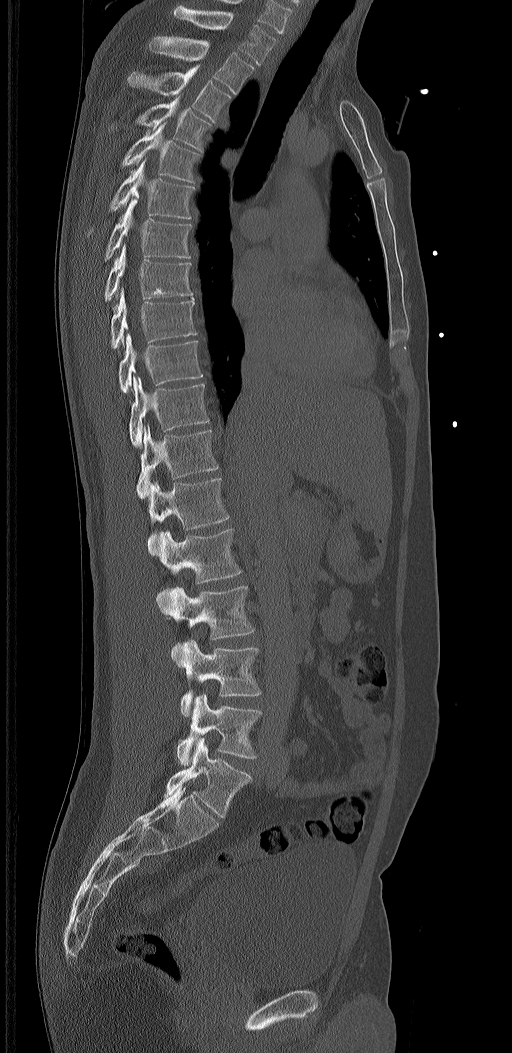

Spine computed tomography; sagittal view; Bone window (WL 400, WW 1800)
These labels give the spine a sixth lumbar vertebra, L6, below L5.
<vertebrae><v name="T1" x1="173" y1="5" x2="276" y2="66"/><v name="T2" x1="149" y1="36" x2="254" y2="94"/><v name="T3" x1="127" y1="64" x2="231" y2="121"/><v name="T4" x1="109" y1="95" x2="212" y2="152"/><v name="T5" x1="120" y1="122" x2="202" y2="183"/><v name="T6" x1="87" y1="159" x2="195" y2="236"/><v name="T7" x1="103" y1="199" x2="191" y2="260"/><v name="T8" x1="104" y1="245" x2="193" y2="302"/><v name="T9" x1="109" y1="288" x2="196" y2="348"/><v name="T10" x1="118" y1="333" x2="203" y2="393"/><v name="T11" x1="128" y1="374" x2="209" y2="448"/><v name="T12" x1="136" y1="425" x2="219" y2="499"/><v name="L1" x1="148" y1="477" x2="230" y2="555"/><v name="L2" x1="157" y1="528" x2="241" y2="614"/><v name="L3" x1="168" y1="586" x2="255" y2="666"/><v name="L4" x1="181" y1="639" x2="262" y2="716"/><v name="L5" x1="176" y1="693" x2="262" y2="765"/><v name="L6" x1="164" y1="738" x2="252" y2="817"/></vertebrae>